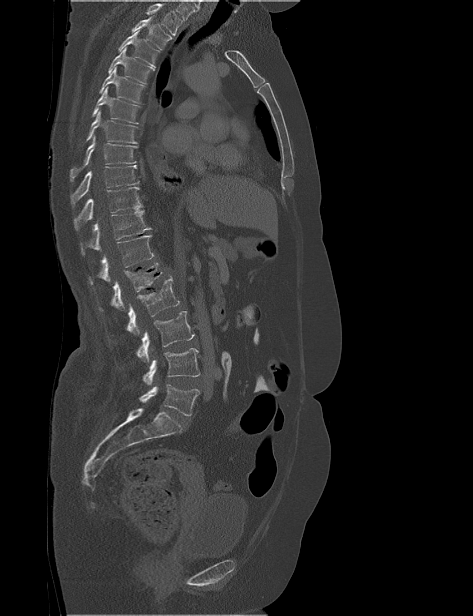
Spine computed tomography · sagittal view · the image spans 473 mm across
Where the top of the scan cuts through a vertebra, that vertebra gets no label or box.
<vertebrae><v name="L5" x1="139" y1="384" x2="200" y2="415"/><v name="L4" x1="142" y1="348" x2="200" y2="385"/><v name="L3" x1="135" y1="311" x2="194" y2="362"/><v name="L2" x1="126" y1="276" x2="179" y2="336"/><v name="L1" x1="99" y1="262" x2="162" y2="310"/><v name="T12" x1="89" y1="235" x2="154" y2="284"/><v name="T11" x1="81" y1="210" x2="151" y2="255"/><v name="T10" x1="74" y1="187" x2="142" y2="230"/><v name="T9" x1="70" y1="165" x2="139" y2="206"/><v name="T8" x1="70" y1="136" x2="138" y2="181"/><v name="T7" x1="86" y1="111" x2="138" y2="143"/><v name="T6" x1="91" y1="87" x2="140" y2="124"/><v name="T5" x1="99" y1="67" x2="145" y2="104"/><v name="T4" x1="108" y1="47" x2="154" y2="84"/><v name="T3" x1="118" y1="30" x2="160" y2="68"/><v name="T2" x1="131" y1="15" x2="172" y2="49"/></vertebrae>